CT, spine · sagittal reformat · bone window
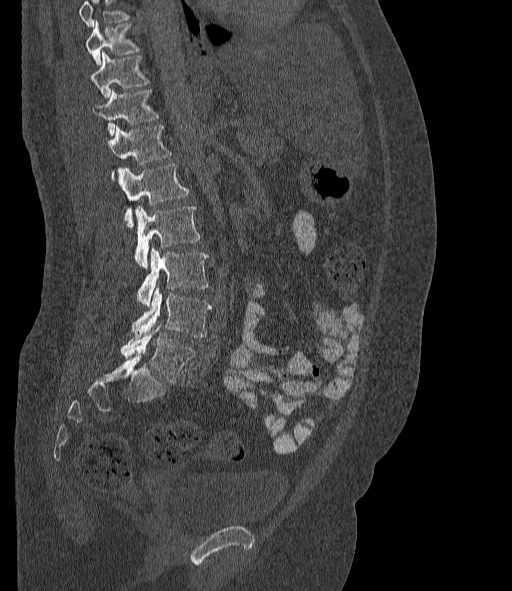
Boxes are (x1, y1, x2, y2) in pixels. Where the top of the scan cuts through a vertebra, that vertebra gets no label or box. These labels give the spine a sixth lumbar vertebra, L6, below L5. 9 vertebrae labeled — L6 at (121, 325, 196, 382); L5 at (132, 288, 211, 337); L4 at (137, 249, 208, 306); L3 at (134, 206, 200, 267); L2 at (119, 163, 189, 227); L1 at (110, 125, 171, 180); T12 at (94, 90, 159, 136); T11 at (92, 52, 150, 99); T10 at (87, 20, 140, 66).